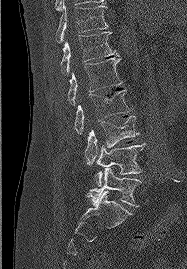

CT, spine · sagittal view · the image spans 187 mm across · W/L 1800/400 HU
Boxes are (x1, y1, x2, y2) in pixels. 7 vertebrae labeled — T11 at (56, 0, 108, 42); T12 at (60, 32, 118, 74); L1 at (68, 56, 122, 105); L2 at (74, 90, 130, 134); L3 at (85, 116, 138, 165); L4 at (95, 143, 145, 186); L5 at (88, 168, 141, 206).